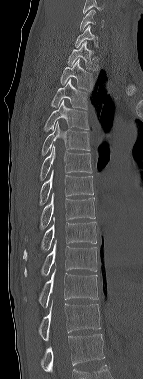 CT, spine — 143 mm wide — sagittal view

Each row gives a vertebra's box as x1, y1, x2, y2 in pixels: top-left corner, then bottom-right corner.
This scan's labels start at C6 at the top and end at T12 at the bottom.
| vertebra | x1 | y1 | x2 | y2 |
|---|---|---|---|---|
| C6 | 80 | 10 | 103 | 31 |
| C7 | 75 | 25 | 98 | 48 |
| T1 | 67 | 41 | 98 | 69 |
| T2 | 60 | 58 | 93 | 91 |
| T3 | 51 | 79 | 88 | 109 |
| T4 | 44 | 100 | 89 | 131 |
| T5 | 41 | 121 | 90 | 155 |
| T6 | 40 | 145 | 92 | 180 |
| T7 | 40 | 170 | 93 | 205 |
| T8 | 40 | 194 | 95 | 229 |
| T9 | 23 | 217 | 96 | 260 |
| T10 | 24 | 240 | 97 | 276 |
| T11 | 24 | 268 | 98 | 307 |
| T12 | 39 | 300 | 101 | 341 |